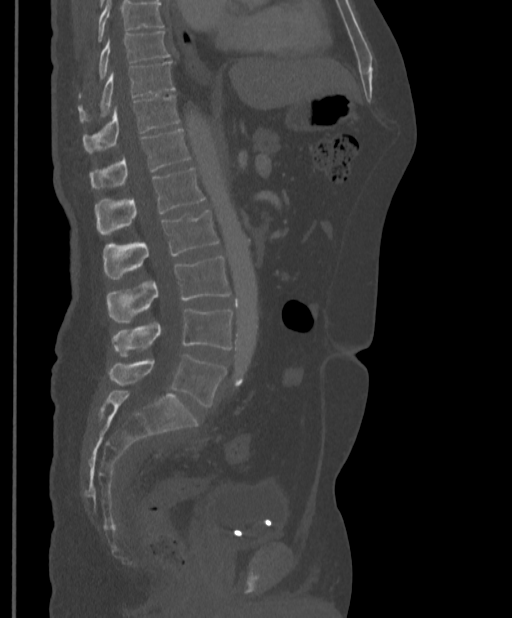
CT; sagittal reformat; 512x618 px; 397 mm image width

Coordinates as <box>x1,y1,x2,y2</box>. Where the top of the scan cuts through a vertebra, that vertebra gets no label or box. Vertebrae labeled: L5 at <box>109,355,226,407</box>, L4 at <box>112,308,232,356</box>, L3 at <box>107,257,231,323</box>, L2 at <box>103,210,219,279</box>, L1 at <box>95,168,205,234</box>, T12 at <box>90,129,190,189</box>, T11 at <box>82,95,179,152</box>, T10 at <box>79,61,174,122</box>, T9 at <box>99,31,169,79</box>.